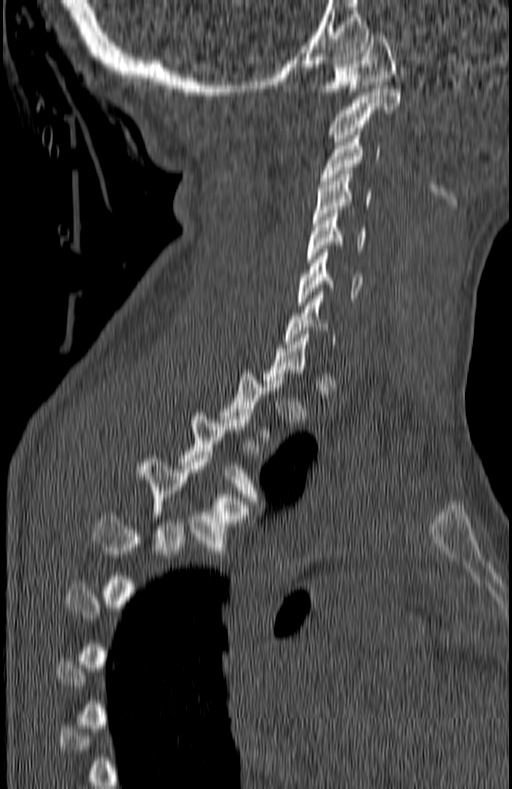 Spine computed tomography · sagittal view · bone-window reconstruction · 512x789 px · 180 mm wide
Each box given as x1,y1,x2,y2.
Not every vertebra on this slice has a box: a vertebra is boxed only from the first to the last slice where its cross-section is at least a third of its largest, and this slice is outside that range for at least one of them.
| vertebra | x1 | y1 | x2 | y2 |
|---|---|---|---|---|
| C1 | 316 | 32 | 395 | 95 |
| C2 | 328 | 89 | 401 | 145 |
| C3 | 320 | 132 | 380 | 184 |
| C4 | 314 | 171 | 373 | 223 |
| C5 | 306 | 210 | 367 | 262 |
| C6 | 297 | 249 | 364 | 305 |
| C7 | 285 | 292 | 336 | 347 |
| T3 | 180 | 412 | 259 | 504 |
| T4 | 135 | 455 | 247 | 554 |